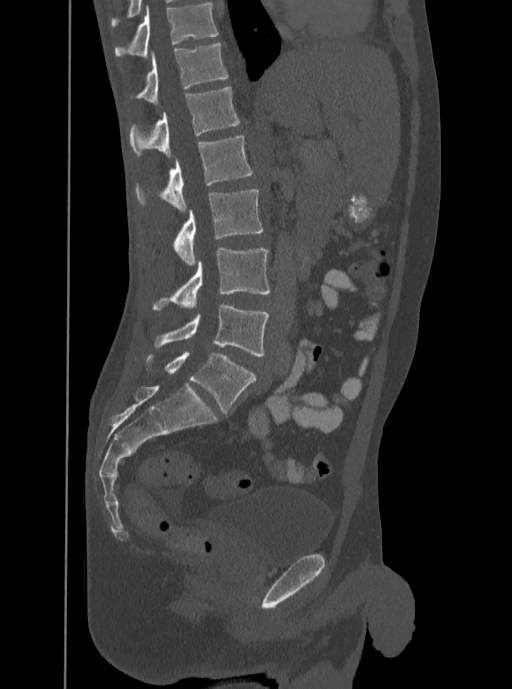 CT spine. the image spans 350 mm across. sagittal view. Boxes: x1:y1:x2:y2 in pixels.
In this scan, the topmost labeled vertebra is T12 and the lowest is L5.
Vertebra bounding boxes:
- L5: 154:304:268:356
- L4: 152:246:269:310
- L3: 174:190:264:265
- L2: 134:136:252:211
- L1: 130:86:239:157
- T12: 130:43:228:104